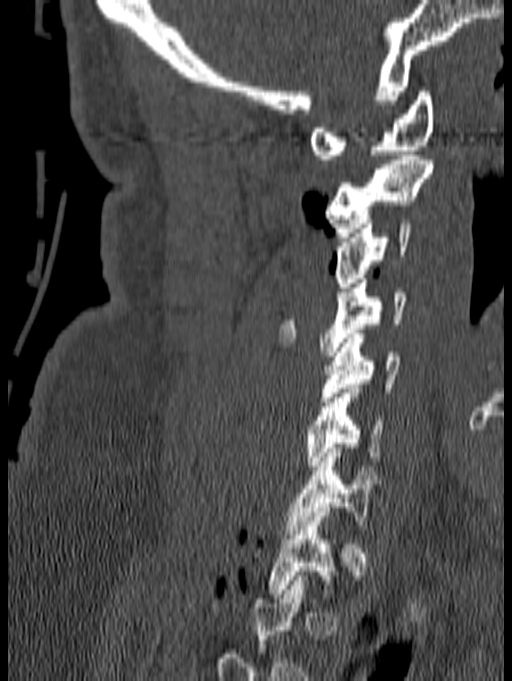
CT spine. sagittal view. Bone window (WL 400, WW 1800)
Boxes are (x1, y1, x2, y2) in pixels.
Not every vertebra on this slice has a box: a vertebra is boxed only from the first to the last slice where its cross-section is at least a third of its largest, and this slice is outside that range for at least one of them.
C1: (310, 91, 434, 159)
C2: (326, 155, 434, 237)
C3: (334, 219, 412, 287)
C4: (278, 279, 406, 356)
C5: (320, 334, 400, 401)
C6: (305, 384, 384, 470)
C7: (286, 448, 377, 534)